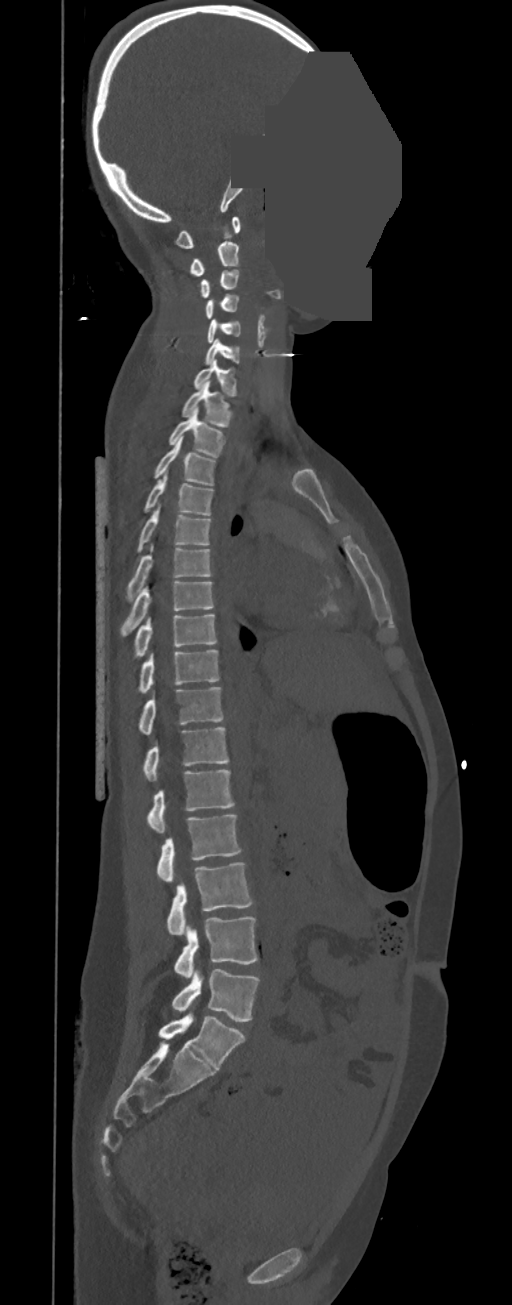
Spine CT. image 350 mm wide. sagittal view. bone window. a uniform gray block covers part of the image
Each box is [x1, y1, x2, y2] in pixels: top-left corner, then bottom-right corner.
These labels give this spine no T12: after T11 the next vertebra is L1.
{"vertebrae":{"L5":[172,969,259,1022],"L4":[174,916,258,977],"L3":[167,862,253,935],"L2":[156,814,242,881],"L1":[148,769,234,832],"T11":[143,727,228,780],"T10":[139,687,223,735],"T9":[137,649,220,693],"T8":[134,614,217,657],"T7":[120,581,214,635],"T6":[126,544,211,602],"T5":[137,504,211,552],"T4":[143,471,214,515],"T3":[153,436,215,485],"T2":[168,407,226,457],"T1":[181,380,231,427],"C7":[193,359,236,395],"C6":[205,338,240,364],"C5":[207,319,240,343],"C4":[206,294,239,319],"C3":[200,270,239,298],"C2":[190,241,239,275],"C1":[175,216,240,248]}}